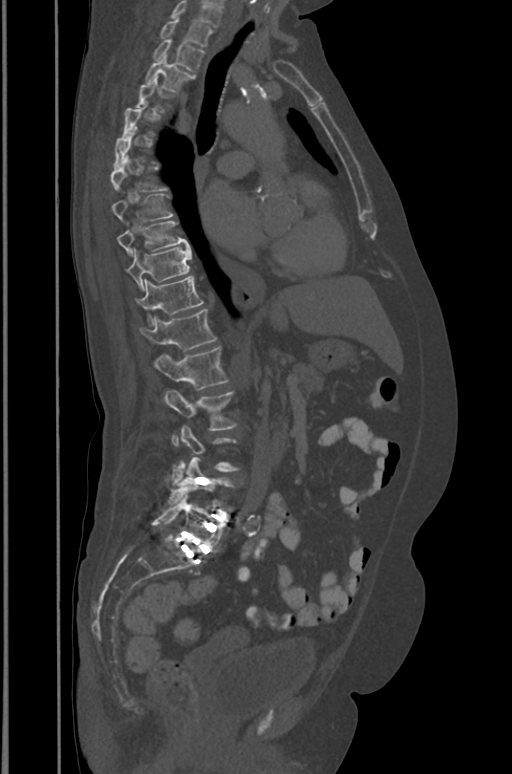

Spine CT — sagittal reformat — 391 mm across the image — bone window — 512x774 px. Coordinates as <box>x1,y1,x2,y2</box>.
A vertebra gets a box only on the slices from the first to the last where its cross-section is at least a third of its largest; on a slice outside that range it gets none.
This scan's labels start at T1 at the top and end at L5 at the bottom.
Vertebra bounding boxes:
- T1: <box>160,18,212,47</box>
- T2: <box>153,39,205,71</box>
- T3: <box>145,56,194,91</box>
- T5: <box>122,103,146,141</box>
- T7: <box>110,166,165,191</box>
- T8: <box>111,193,173,220</box>
- T9: <box>116,221,189,254</box>
- T10: <box>126,245,192,289</box>
- T11: <box>135,276,203,322</box>
- T12: <box>140,308,216,351</box>
- L1: <box>153,347,228,389</box>
- L2: <box>164,390,236,436</box>
- L3: <box>173,426,237,482</box>
- L4: <box>168,457,232,504</box>
- L5: <box>152,490,224,552</box>